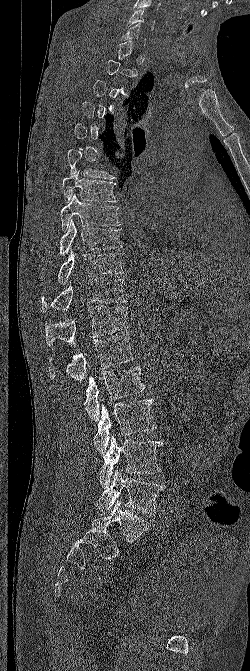
CT, spine. sagittal view
Boxes below are [x1, y1, x2, y2] in pixels.
Not every vertebra on this slice has a box: a vertebra is boxed only from the first to the last slice where its cross-section is at least a third of its largest, and this slice is outside that range for at least one of them.
{"vertebrae":{"C6":[127,8,154,30],"T6":[67,149,115,179],"T7":[62,171,117,202],"T8":[60,194,120,231],"T9":[59,218,122,255],"T10":[58,249,123,284],"T11":[42,278,126,312],"T12":[45,306,128,346],"L1":[49,334,134,381],"L2":[83,366,145,421],"L3":[93,397,155,455],"L4":[96,436,162,488],"L5":[96,469,163,515]}}